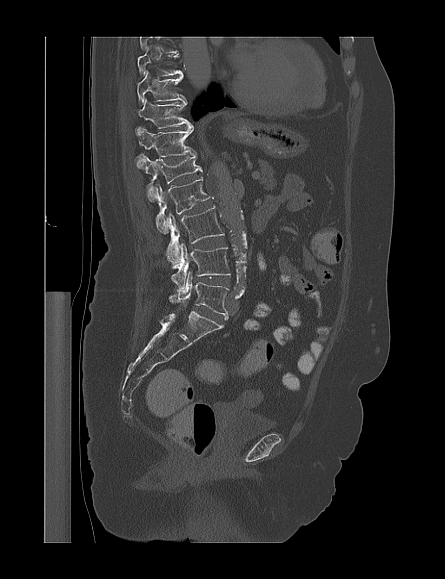

Spine CT · sagittal reformat · 445 mm wide · bone window

Boxes are (x1, y1, x2, y2) in pixels.
In this scan, the topmost labeled vertebra is T9 and the lowest is L5.
Vertebra bounding boxes:
- L5: (169, 271, 227, 315)
- L4: (171, 243, 230, 291)
- L3: (165, 206, 224, 264)
- L2: (154, 178, 210, 233)
- L1: (142, 155, 202, 201)
- T12: (137, 127, 196, 167)
- T11: (135, 98, 192, 135)
- T10: (137, 70, 186, 104)
- T9: (138, 47, 182, 76)